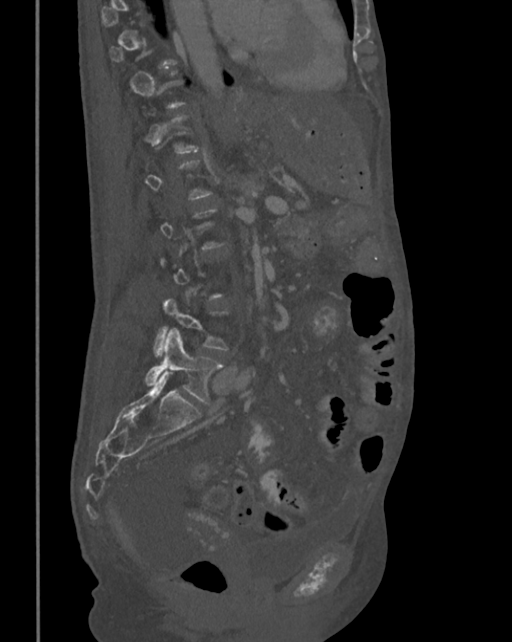

Computed tomography of the spine — sagittal view — bone-window reconstruction — 512x642 px

Bounding boxes as [x1, y1, x2, y2] in pixel coordinates.
Each vertebra is boxed only on the slices from the first to the last where its cross-section reaches a third of its largest, so a slice outside that range leaves it unboxed.
L4: [154, 299, 229, 354]
L5: [145, 330, 223, 406]